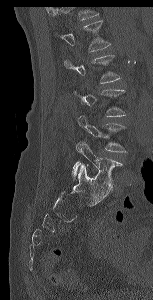 CT, spine. sagittal view. bone-window reconstruction. Box edges are left/top/right/bottom in pixels.
Each vertebra is boxed only on the slices from the first to the last where its cross-section reaches a third of its largest, so a slice outside that range leaves it unboxed.
Where the top of the scan cuts through a vertebra, that vertebra gets no label or box.
L5: left=72, top=142, right=122, bottom=188
L4: left=76, top=115, right=127, bottom=152
L1: left=60, top=20, right=110, bottom=51